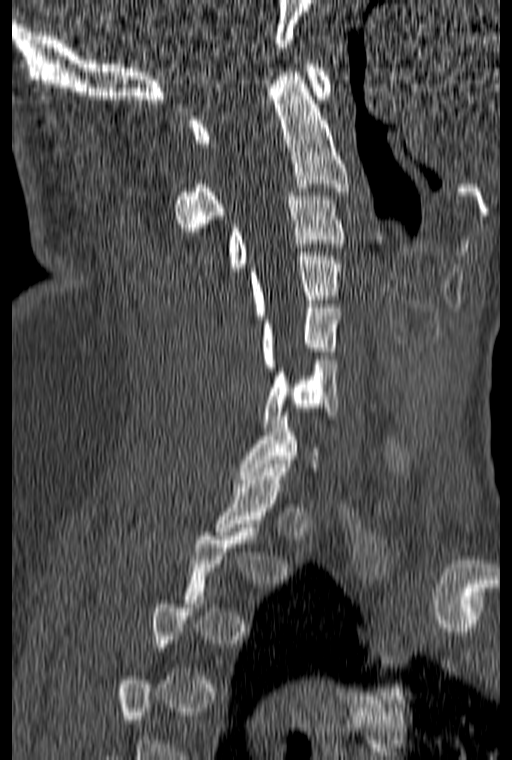
Spine computed tomography · sagittal view · 512x760 px
Each vertebra maps to its box as [x1, y1, x2, y2], the pixel coordinates of its top-left and bottom-right corners.
Not every vertebra on this slice has a box: a vertebra is boxed only from the first to the last slice where its cross-section is at least a third of its largest, and this slice is outside that range for at least one of them.
{"vertebrae":{"C1":[189,60,331,147],"C2":[173,72,349,235],"C3":[227,192,346,271],"C4":[248,252,343,319],"C5":[260,300,340,367],"C6":[264,356,338,427]}}